CT, spine; sagittal view; the image is 157 mm wide; 13 vertebrae labeled in this scan
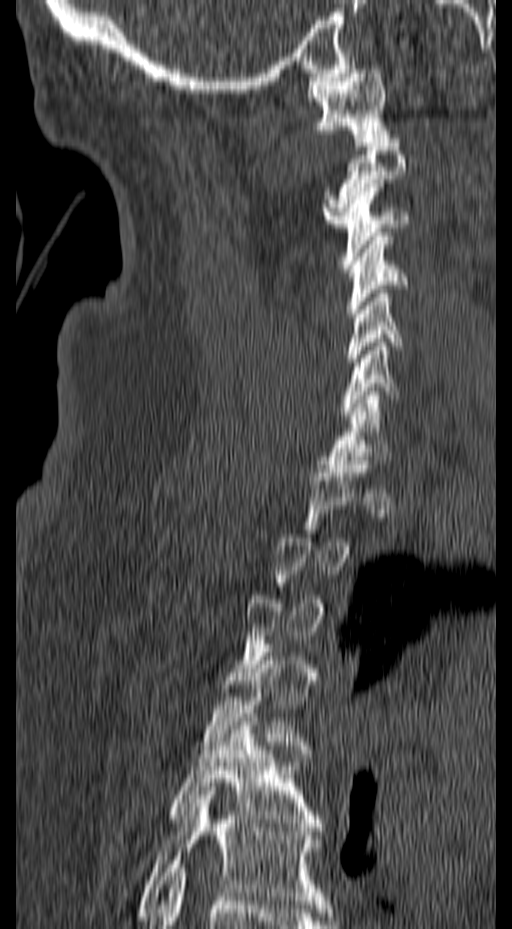

Boxes are (x1, y1, x2, y2) in pixels. Not every vertebra on this slice has a box: a vertebra is boxed only from the first to the last slice where its cross-section is at least a third of its largest, and this slice is outside that range for at least one of them. Vertebrae labeled: T6 at (135, 787, 330, 916), T5 at (169, 713, 323, 831), T4 at (196, 648, 314, 757), C7 at (326, 391, 391, 468), C6 at (339, 338, 398, 415), C5 at (345, 285, 402, 370), C4 at (345, 232, 406, 317), C3 at (339, 183, 409, 268), C2 at (322, 143, 405, 227), C1 at (307, 65, 391, 142).